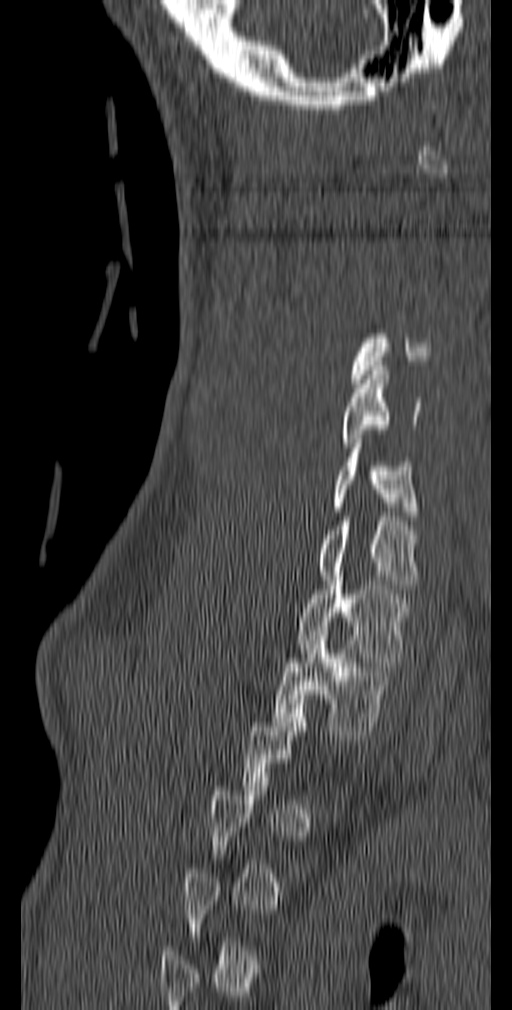 CT · sagittal view · W/L 1800/400 HU · 512x1010 px
Each vertebra maps to its box as [x1, y1, x2, y2], the pixel coordinates of its top-left and bottom-right corners.
Not every vertebra on this slice has a box: a vertebra is boxed only from the first to the last slice where its cross-section is at least a third of its largest, and this slice is outside that range for at least one of them.
{"vertebrae":{"C5":[341,366,421,447],"C6":[333,439,419,520],"C7":[316,521,421,589],"T1":[296,576,408,666],"T2":[272,631,394,735]}}